CT — Sagittal slice 189/512 — 512x782 px
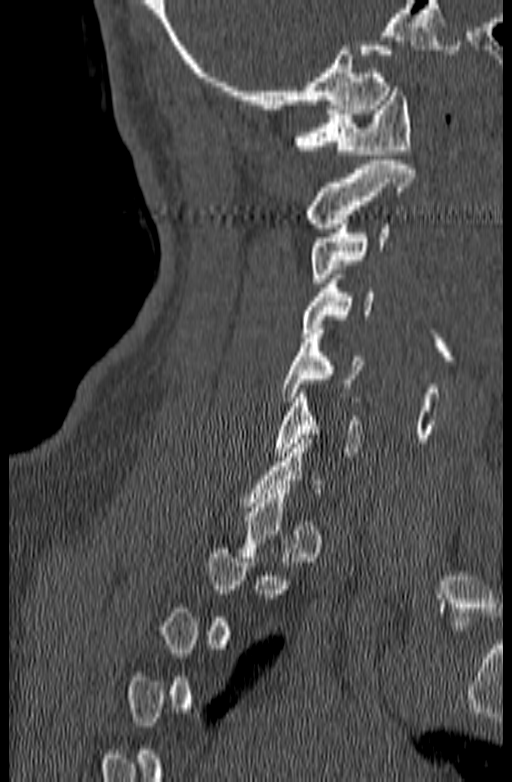
In the table, x1 and y1 are a box's top-left corner and x2 and y2 its bottom-right corner, in pixels.
A vertebra gets a box only on the slices from the first to the last where its cross-section is at least a third of its largest; on a slice outside that range it gets none.
| vertebra | x1 | y1 | x2 | y2 |
|---|---|---|---|---|
| C1 | 294 | 87 | 411 | 154 |
| C2 | 305 | 160 | 415 | 228 |
| C3 | 309 | 219 | 389 | 282 |
| C4 | 302 | 274 | 373 | 333 |
| C5 | 282 | 329 | 362 | 401 |
| C6 | 274 | 389 | 363 | 456 |